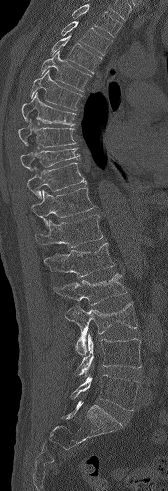
CT spine. sagittal view. Bone window (WL 400, WW 1800). 168 mm across the image
Coordinates as <box>x1,y1,x2,y2</box>.
Vertebrae that run past the top of the scan are left unlabeled.
T3: <box>60,21,112,55</box>
T4: <box>50,34,101,73</box>
T5: <box>40,51,91,91</box>
T6: <box>30,70,81,110</box>
T7: <box>21,92,76,125</box>
T8: <box>18,120,76,147</box>
T9: <box>20,148,80,170</box>
T10: <box>27,163,86,198</box>
T11: <box>31,187,95,226</box>
T12: <box>35,215,103,247</box>
L1: <box>44,243,114,277</box>
L2: <box>53,273,126,305</box>
L3: <box>65,302,137,355</box>
L4: <box>75,334,141,376</box>
L5: <box>71,374,139,410</box>